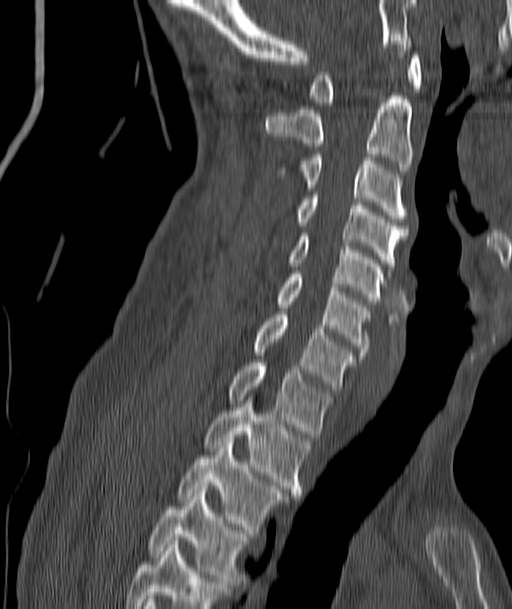

CT; sagittal view; image 187 mm wide; 512x609 px
Boxes below are [x1, y1, x2, y2] in pixels.
{"vertebrae":{"T4":[149,493,246,581],"T3":[179,441,282,533],"T2":[206,397,309,492],"T1":[228,359,331,437],"C7":[253,315,353,389],"C6":[277,274,369,355],"C5":[291,233,386,304],"C4":[297,195,405,269],"C3":[302,154,405,218],"C2":[266,89,413,174],"C1":[310,51,422,105]}}